CT — sagittal reformat — 200 mm image width — bone window
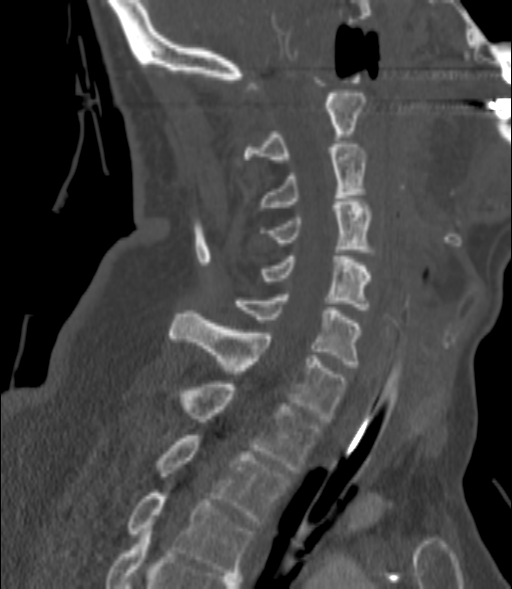
Columns x1, y1, x2, y2 give each box's top-left and bottom-right pixels.
| vertebra | x1 | y1 | x2 | y2 |
|---|---|---|---|---|
| T3 | 126 | 493 | 253 | 575 |
| T2 | 154 | 435 | 289 | 524 |
| T1 | 142 | 381 | 320 | 473 |
| C7 | 170 | 310 | 345 | 421 |
| C6 | 234 | 294 | 361 | 367 |
| C5 | 259 | 253 | 371 | 309 |
| C4 | 262 | 198 | 371 | 249 |
| C3 | 257 | 144 | 366 | 210 |
| C2 | 244 | 93 | 366 | 162 |